Spine CT; sagittal view; the image is 345 mm wide; scan covers 7 annotated vertebrae
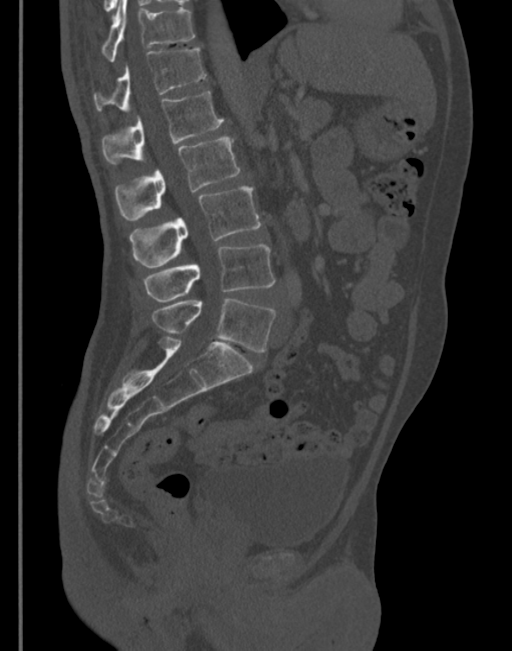 Boxes are (x1, y1, x2, y2) in pixels.
T11: (102, 0, 195, 61)
T12: (93, 49, 205, 111)
L1: (102, 91, 223, 163)
L2: (114, 138, 239, 220)
L3: (129, 186, 261, 267)
L4: (144, 245, 275, 301)
L5: (151, 299, 275, 352)